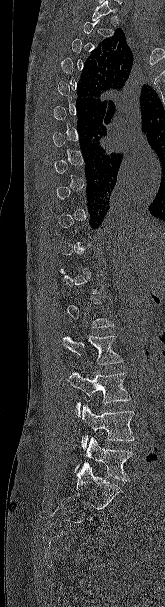
Spine CT · sagittal view · 165 mm wide
Boxes: x1 y1 x2 y2 (pixel coords, space-separated).
Not every vertebra on this slice has a box: a vertebra is boxed only from the first to the last slice where its cross-section is at least a third of its largest, and this slice is outside that range for at least one of them.
L5: 74 437 132 481
L4: 80 405 134 449
L3: 68 371 130 416
L2: 63 335 123 364